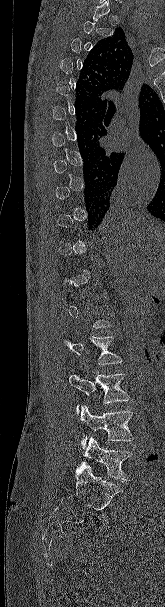 Spine CT. sagittal view. the image spans 165 mm across
Boxes: x1 y1 x2 y2 (pixel coords, space-separated). A vertebra is boxed only from the first to the last slice where its cross-section is at least a third of its largest; slices outside that range leave it without a box. Vertebrae labeled: L2 at 64 336 122 365, L3 at 69 373 130 414, L4 at 79 405 133 448, L5 at 83 436 132 481.